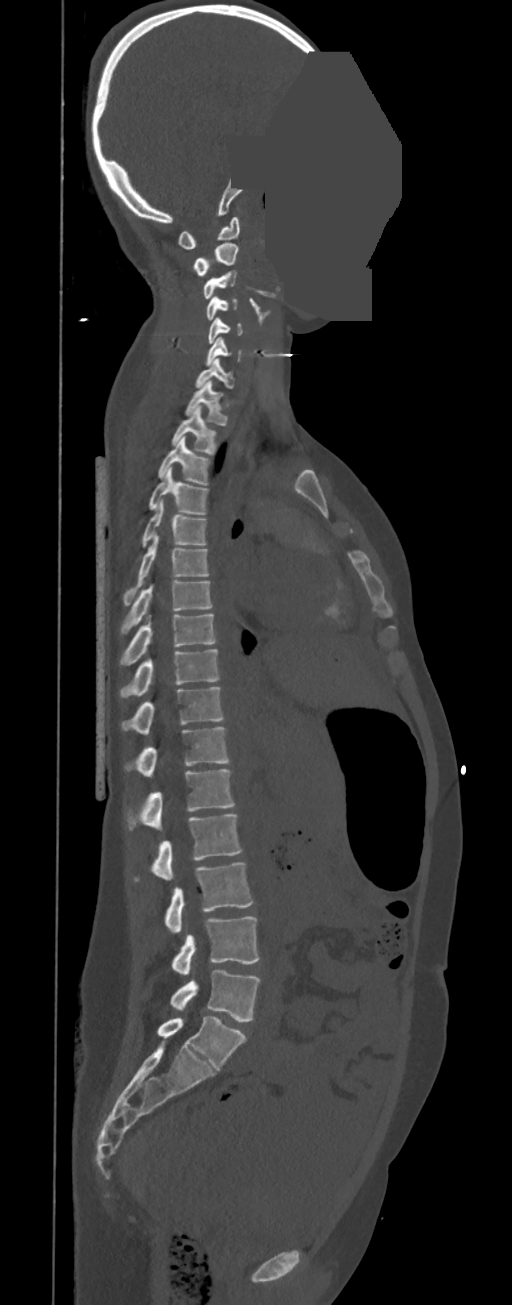 CT — sagittal view — bone window — some of the image was removed or blocked out with constant pixels
In the table, x1 and y1 are a box's top-left corner and x2 and y2 its bottom-right corner, in pixels.
In these labels the spine has no T12: the thoracic vertebrae end at T11, and L1 comes next.
| vertebra | x1 | y1 | x2 | y2 |
|---|---|---|---|---|
| C1 | 177 | 216 | 239 | 249 |
| C2 | 193 | 242 | 238 | 275 |
| C3 | 203 | 270 | 236 | 299 |
| C4 | 206 | 296 | 237 | 320 |
| C5 | 208 | 317 | 243 | 344 |
| C6 | 206 | 336 | 242 | 366 |
| C7 | 196 | 358 | 234 | 387 |
| T1 | 185 | 380 | 227 | 426 |
| T2 | 171 | 406 | 215 | 455 |
| T3 | 158 | 436 | 209 | 485 |
| T4 | 149 | 466 | 208 | 515 |
| T5 | 142 | 499 | 206 | 547 |
| T6 | 123 | 536 | 208 | 606 |
| T7 | 121 | 581 | 212 | 634 |
| T8 | 120 | 614 | 217 | 667 |
| T9 | 120 | 649 | 220 | 697 |
| T10 | 121 | 687 | 224 | 734 |
| T11 | 124 | 727 | 229 | 777 |
| L1 | 127 | 769 | 234 | 830 |
| L2 | 134 | 814 | 242 | 881 |
| L3 | 164 | 862 | 253 | 932 |
| L4 | 171 | 916 | 259 | 975 |
| L5 | 169 | 970 | 261 | 1022 |